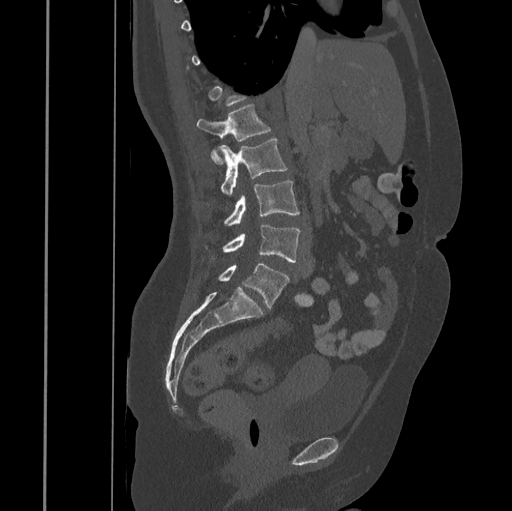

CT, spine · sagittal view · W/L 1800/400 HU · the image spans 445 mm across. Each box given as x1,y1,x2,y2.
Not every vertebra on this slice has a box: a vertebra is boxed only from the first to the last slice where its cross-section is at least a third of its largest, and this slice is outside that range for at least one of them.
L1: x1=197, y1=105, x2=270, y2=164
L2: x1=219, y1=139, x2=287, y2=196
L3: x1=224, y1=180, x2=299, y2=226
L4: x1=222, y1=224, x2=300, y2=262
L5: x1=217, y1=263, x2=289, y2=309